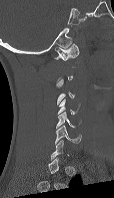

CT, spine — sagittal view
Each box given as x1,y1,x2,y2.
A vertebra is boxed only from the first to the last slice where its cross-section is at least a third of its largest; slices outside that range leave it without a box.
| vertebra | x1 | y1 | x2 | y2 |
|---|---|---|---|---|
| C1 | 54 | 43 | 79 | 60 |
| C3 | 56 | 79 | 74 | 105 |
| C4 | 57 | 98 | 78 | 114 |
| C5 | 56 | 111 | 79 | 128 |
| C6 | 55 | 125 | 81 | 143 |